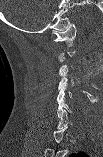 Spine computed tomography. sagittal view. the image is 103 mm wide. bone window. 103x157 px
Each row gives a vertebra's box as x1, y1, x2, y2 in pixels: top-left corner, then bottom-right corner.
A vertebra is boxed only from the first to the last slice where its cross-section is at least a third of its largest; slices outside that range leave it without a box.
| vertebra | x1 | y1 | x2 | y2 |
|---|---|---|---|---|
| C1 | 52 | 23 | 76 | 46 |
| C4 | 58 | 68 | 80 | 90 |
| C5 | 57 | 82 | 72 | 103 |
| C6 | 57 | 97 | 71 | 117 |